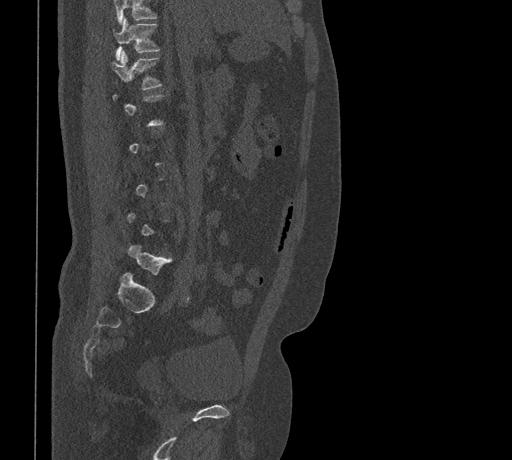 Computed tomography of the spine · sagittal view · W/L 1800/400 HU · 461 mm wide · 512x460 px. Box edges are left/top/right/bottom in pixels. A vertebra is boxed only from the first to the last slice where its cross-section is at least a third of its largest; slices outside that range leave it without a box. Vertebrae that run past the top of the scan are left unlabeled. Vertebrae labeled: T11 at left=112, top=18, right=159, bottom=60, T12 at left=111, top=51, right=162, bottom=89, L5 at left=128, top=245, right=171, bottom=275.